CT; sagittal plane, index 41; the image spans 179 mm across; 19 vertebrae labeled in this scan
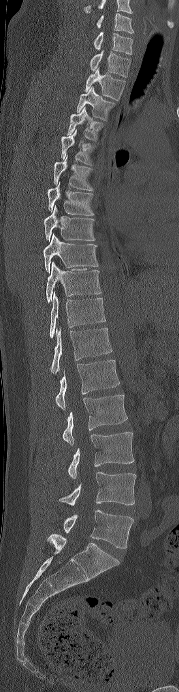

Bounding boxes as [x1, y1, x2, y2] in pixel coordinates.
In this scan, the topmost labeled vertebra is C6 and the lowest is L5.
Vertebra bounding boxes:
- C6: [97, 13, 133, 33]
- C7: [93, 32, 132, 54]
- T1: [90, 50, 130, 77]
- T2: [85, 68, 125, 100]
- T3: [76, 87, 115, 120]
- T4: [66, 107, 105, 141]
- T5: [61, 129, 95, 165]
- T6: [54, 155, 93, 190]
- T7: [47, 182, 93, 215]
- T8: [43, 205, 95, 241]
- T9: [43, 233, 98, 272]
- T10: [46, 262, 101, 302]
- T11: [49, 292, 105, 338]
- T12: [50, 328, 112, 373]
- L1: [55, 360, 119, 409]
- L2: [62, 394, 127, 445]
- L3: [68, 432, 134, 479]
- L4: [59, 472, 136, 506]
- L5: [63, 510, 133, 548]